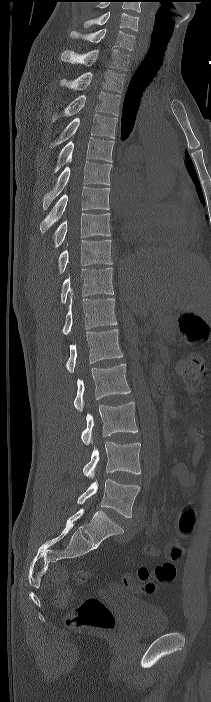
CT; sagittal view; W/L 1800/400 HU

Boxes are (x1, y1, x2, y2) in pixels. In this scan, the topmost labeled vertebra is C7 and the lowest is L4. 17 vertebrae labeled — L4 at (77, 478, 139, 517); L3 at (82, 441, 141, 478); L2 at (81, 402, 137, 445); L1 at (73, 364, 130, 411); T12 at (66, 329, 122, 372); T11 at (62, 293, 117, 334); T10 at (61, 268, 113, 303); T9 at (58, 240, 112, 273); T8 at (52, 213, 110, 247); T7 at (40, 186, 109, 234); T6 at (43, 161, 112, 209); T5 at (54, 137, 114, 172); T4 at (49, 114, 117, 147); T3 at (52, 91, 120, 121); T2 at (59, 70, 125, 92); T1 at (61, 49, 130, 70); C7 at (70, 28, 135, 50).